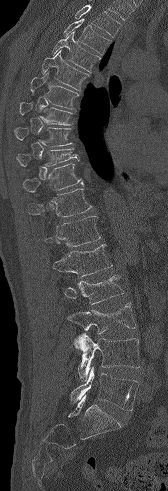
Spine CT; 168 mm image width; sagittal reformat; bone window. Bounding boxes as [x1, y1, x2, y2] in pixel coordinates.
Vertebrae that run past the top of the scan are left unlabeled.
Vertebra bounding boxes:
- L5: [70, 366, 139, 410]
- L4: [73, 333, 140, 382]
- L3: [66, 302, 136, 333]
- L2: [64, 275, 123, 304]
- L1: [52, 244, 112, 277]
- T12: [44, 216, 100, 247]
- T11: [28, 188, 92, 217]
- T10: [23, 163, 83, 192]
- T9: [16, 147, 79, 166]
- T8: [14, 127, 72, 146]
- T7: [19, 102, 72, 125]
- T6: [30, 72, 78, 109]
- T5: [41, 50, 89, 90]
- T4: [52, 31, 100, 72]
- T3: [63, 18, 110, 54]